CT spine; sagittal reformat; 150 mm image width; Bone window (WL 400, WW 1800)
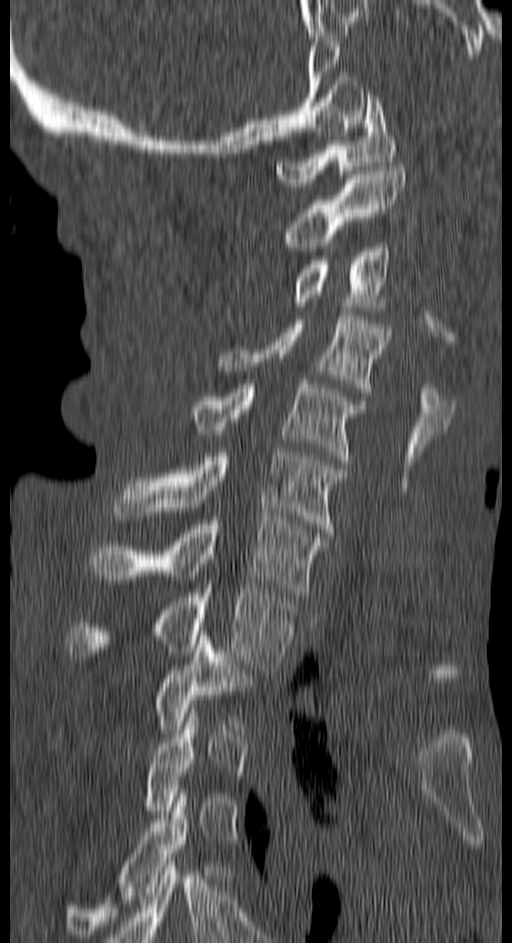
Boxes: x1 y1 x2 y2 (pixel coords, space-separated).
Not every vertebra on this slice has a box: a vertebra is boxed only from the first to the last slice where its cross-section is at least a third of its largest, and this slice is outside that range for at least one of them.
Vertebra bounding boxes:
- T4: 64 789 222 942
- T2: 56 636 256 741
- T1: 66 585 293 669
- C7: 90 516 328 596
- C6: 114 452 348 537
- C5: 186 380 365 464
- C4: 218 316 390 396
- C3: 291 243 389 310
- C2: 281 166 406 251
- C1: 274 94 396 187